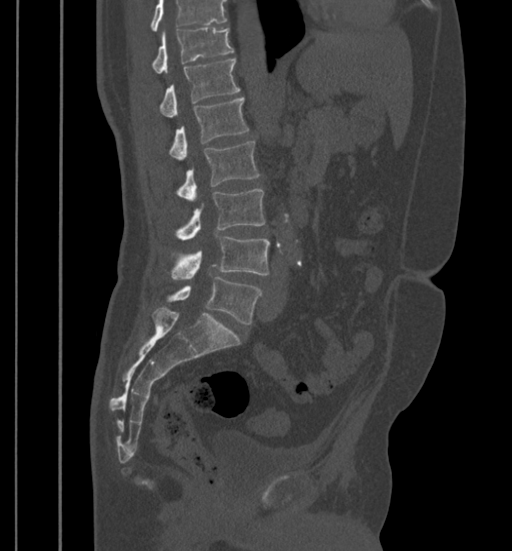

CT, spine; sagittal view; 399 mm across the image; 512x551 px

Boxes: x1 y1 x2 y2 (pixel coords, space-separated).
A vertebra cut off by the top edge of the scan is not labeled and has no box.
Vertebra bounding boxes:
- T11: 151 28 234 73
- T12: 159 59 240 117
- L1: 169 98 249 159
- L2: 177 141 259 200
- L3: 176 188 264 240
- L4: 169 236 270 278
- L5: 167 277 262 324